CT · sagittal plane, index 180 · image 381 mm wide · scan covers 7 annotated vertebrae
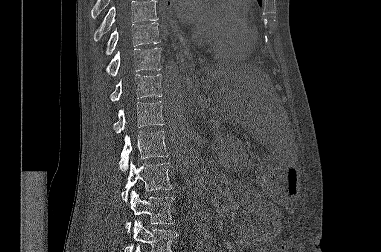 Box values are [left, top, right, bottom] in pixels.
No box is given to a vertebra that the top or bottom edge of the scan cuts off.
{"vertebrae":{"T9":[106,22,160,54],"T10":[105,48,161,75],"T11":[110,74,162,101],"T12":[113,101,164,133],"L1":[119,131,168,171],"L2":[121,161,172,202],"L3":[125,191,173,232]}}